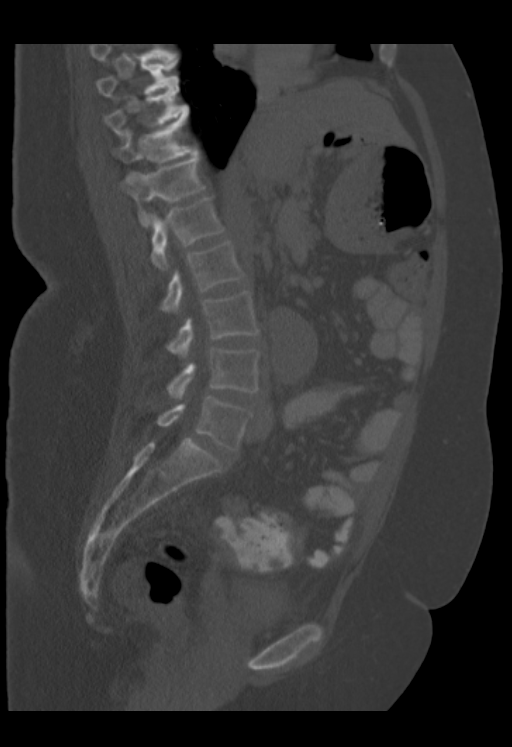

Spine computed tomography · sagittal view · 512x747 px
Boxes: x1:y1:x2:y2 in pixels.
Labels in this scan begin with T9 at the top and end with L5 at the bottom.
T9: 96:60:178:97
T10: 105:87:188:137
T11: 115:117:193:163
T12: 121:151:205:227
L1: 151:197:224:269
L2: 161:242:244:313
L3: 167:292:259:357
L4: 167:348:260:398
L5: 157:396:252:450